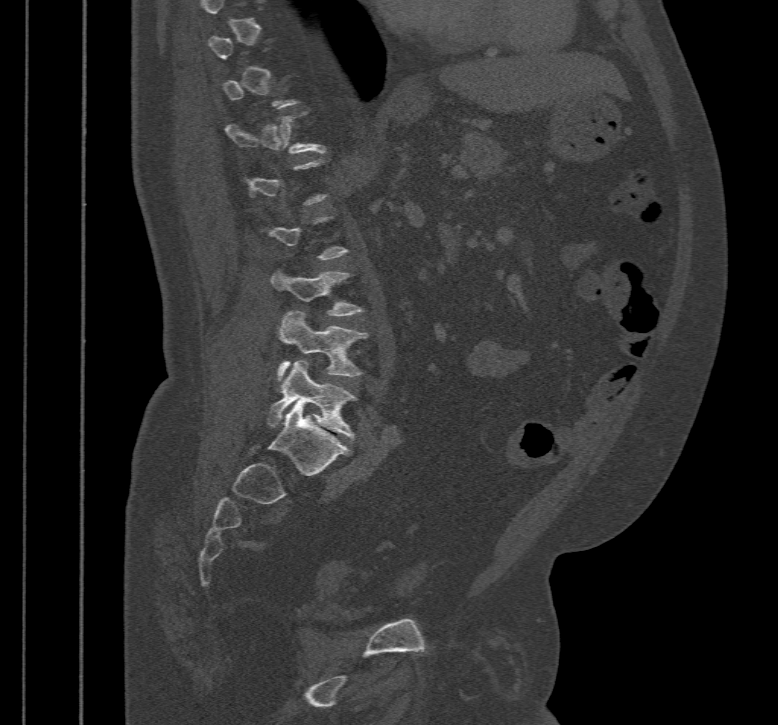
CT spine. image 467 mm wide. sagittal view. W/L 1800/400 HU. 778x725 px
Each vertebra maps to its box as [x1, y1, x2, y2], the pixel coordinates of its top-left and bottom-right corners.
Each vertebra is boxed only on the slices from the first to the last where its cross-section reaches a third of its largest, so a slice outside that range leaves it unboxed.
{"vertebrae":{"T12":[225,112,326,154],"L3":[271,269,364,316],"L4":[277,310,368,381],"L5":[266,360,356,439]}}